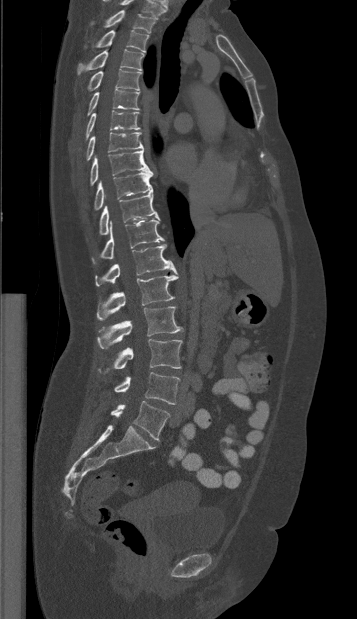

Computed tomography of the spine · sagittal view · the image spans 357 mm across · 357x619 px
Boxes are (x1, y1, x2, y2) in pixels.
The highest labeled vertebra in this scan is T1; the lowest is L5.
Vertebra bounding boxes:
- T1: (91, 10, 155, 33)
- T2: (84, 29, 148, 52)
- T3: (77, 49, 143, 75)
- T4: (87, 69, 140, 91)
- T5: (87, 89, 139, 115)
- T6: (85, 110, 140, 139)
- T7: (86, 132, 143, 160)
- T8: (90, 150, 150, 185)
- T9: (94, 172, 152, 210)
- T10: (99, 190, 160, 235)
- T11: (92, 218, 164, 264)
- T12: (95, 244, 177, 286)
- L1: (96, 275, 178, 320)
- L2: (97, 306, 181, 348)
- L3: (99, 339, 182, 374)
- L4: (114, 372, 179, 404)
- L5: (111, 401, 169, 440)